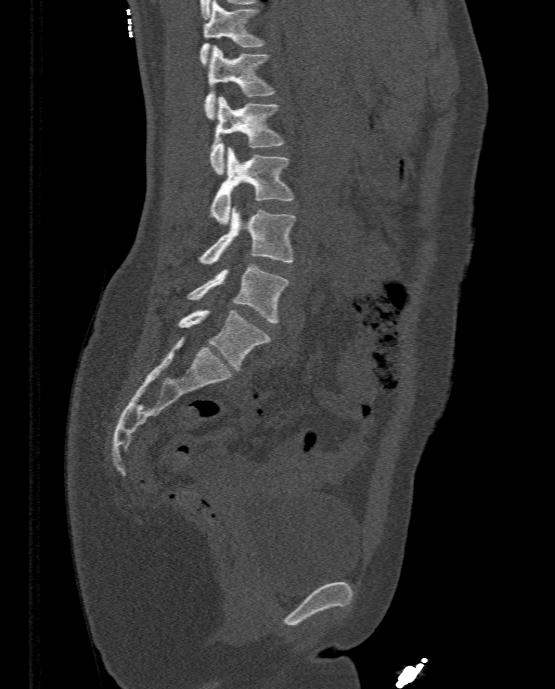

Spine CT — sagittal view — W/L 1800/400 HU — 333 mm wide. Boxes: x1:y1:x2:y2 in pixels.
Vertebra bounding boxes:
- T11: 199:0:266:64
- T12: 204:45:275:119
- L1: 209:96:284:174
- L2: 209:147:294:225
- L3: 198:206:295:264
- L4: 186:263:288:323
- L5: 178:309:270:370